CT spine — sagittal view — 10 vertebrae labeled in this scan — image width 160 mm
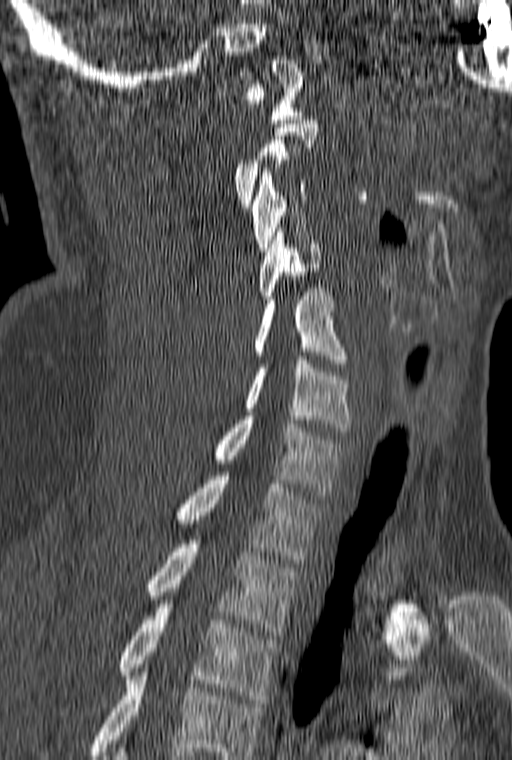

Each box given as x1,y1,x2,y2. Not every vertebra on this slice has a box: a vertebra is boxed only from the first to the last slice where its cross-section is at least a third of its largest, and this slice is outside that range for at least one of them. This scan's labels start at C1 at the top and end at T3 at the bottom. Vertebrae labeled: C1 at x1=237, y1=56, x2=304, y2=123, C3 at x1=252, y1=172, x2=310, y2=255, C4 at x1=259, y1=228, x2=320, y2=303, C5 at x1=254, y1=288, x2=349, y2=367, C6 at x1=243, y1=356, x2=352, y2=431, C7 at x1=212, y1=416, x2=346, y2=495, T1 at x1=174, y1=472, x2=326, y2=563, T2 at x1=145, y1=540, x2=298, y2=635, T3 at x1=116, y1=604, x2=279, y2=703.